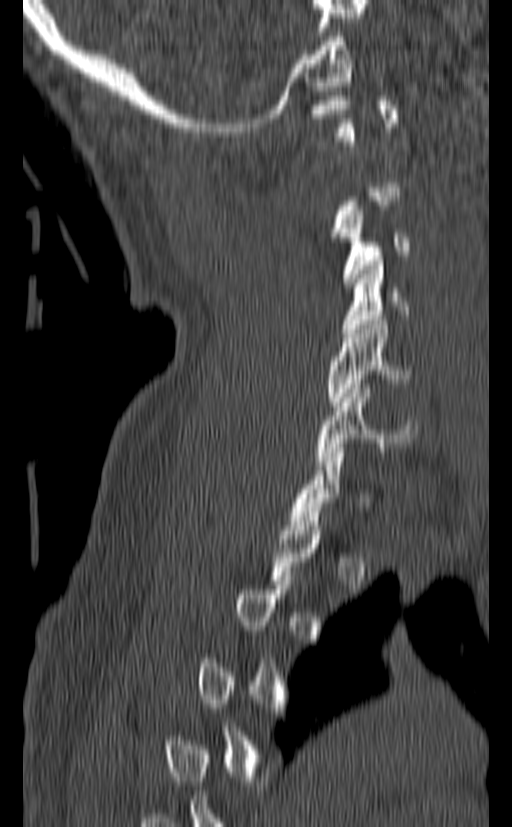

CT spine. sagittal view
Coordinates as <box>x1,y1,x2,y2</box>.
A vertebra is boxed only from the first to the last slice where its cross-section is at least a third of its largest; slices outside that range leave it without a box.
Vertebra bounding boxes:
- C3: <box>340,210,410,287</box>
- C4: <box>341,261,408,333</box>
- C5: <box>327,320,412,406</box>
- C6: <box>316,384,417,465</box>